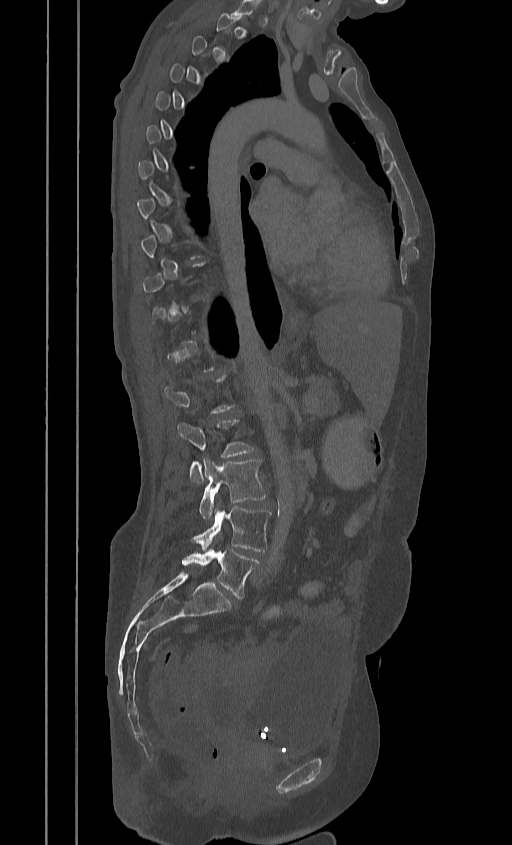
CT, spine; sagittal reformat; the image is 384 mm wide; bone-window reconstruction; 512x845 px
Box values are [left, top, right, bottom] in pixels.
A vertebra gets a box only on the slices from the first to the last where its cross-section is at least a third of its largest; on a slice outside that range it gets none.
{"vertebrae":{"L2":[177,419,255,483],"L3":[198,457,265,519],"L4":[192,507,271,551],"L5":[181,549,259,598]}}